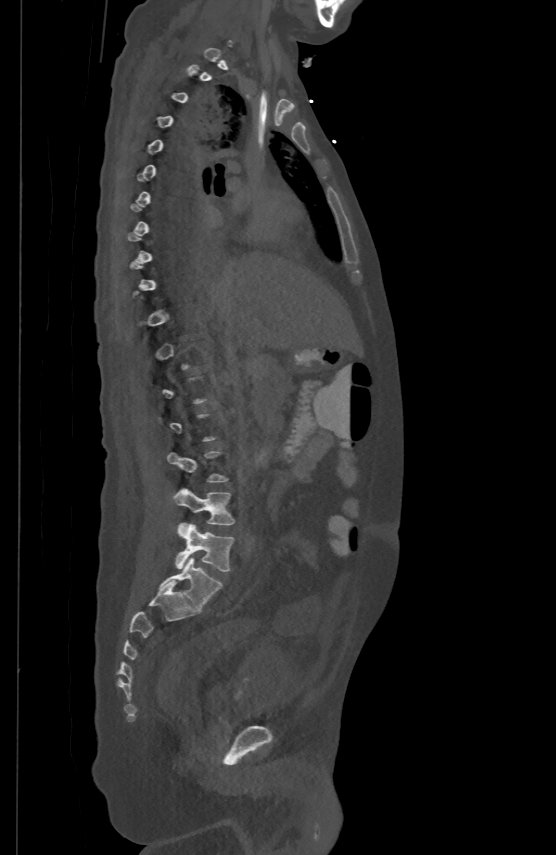 Spine computed tomography — sagittal view — Bone window (WL 400, WW 1800) — image 500 mm wide — 556x855 px

Each vertebra maps to its box as [x1, y1, x2, y2], the pixel coordinates of its top-left and bottom-right corners.
Each vertebra is boxed only on the slices from the first to the last where its cross-section reaches a third of its largest, so a slice outside that range leaves it unboxed.
{"vertebrae":{"L4":[173,488,234,524],"L5":[176,524,233,571]}}